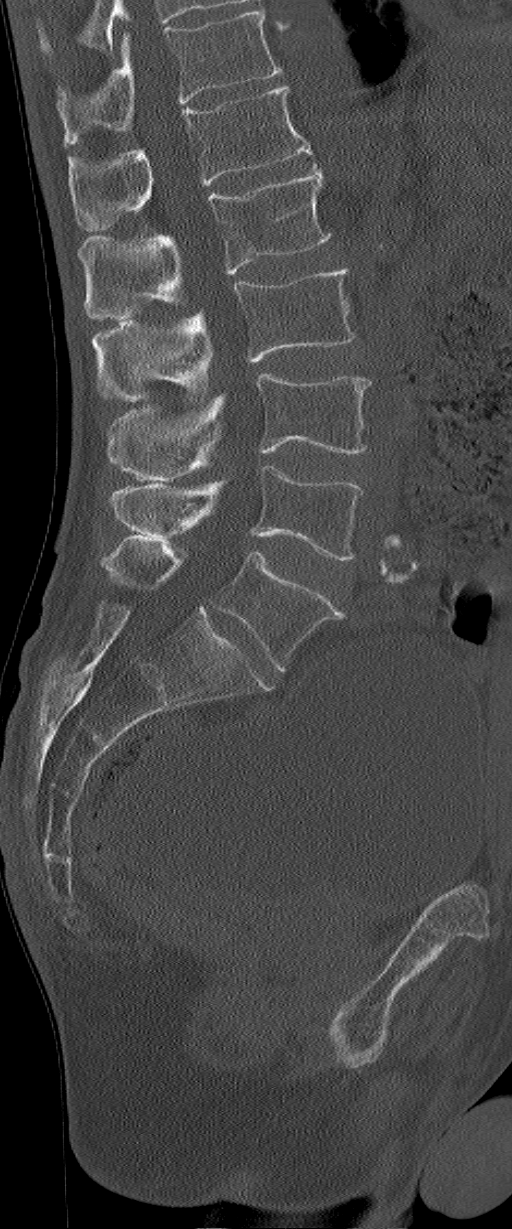 Computed tomography of the spine — sagittal reformat
Box edges are left/top/right/bottom in pixels. This scan's labels start at L1 at the top and end at L6 at the bottom. The labels name a sixth lumbar vertebra for this spine: L6, after L5. The labeled vertebrae in this slice are: L6 at left=101, top=537, right=344, bottom=669, L5 at left=111, top=466, right=362, bottom=559, L4 at left=111, top=374, right=370, bottom=480, L3 at left=93, top=269, right=354, bottom=402, L2 at left=77, top=164, right=331, bottom=320, L1 at left=69, top=85, right=312, bottom=231.